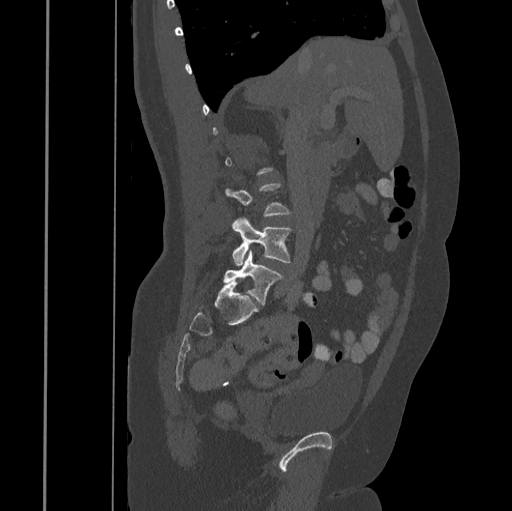 CT, spine · sagittal reformat · image width 445 mm · bone window

Boxes are given in columns x1, y1, x2, y2, the pixel coordinates of their top-left and bottom-right corners.
Each vertebra is boxed only on the slices from the first to the last where its cross-section reaches a third of its largest, so a slice outside that range leaves it unboxed.
| vertebra | x1 | y1 | x2 | y2 |
|---|---|---|---|---|
| L4 | 232 | 217 | 291 | 266 |
| L5 | 223 | 250 | 283 | 303 |